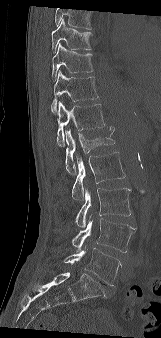 CT spine — sagittal view

In the table, x1 and y1 are a box's top-left corner and x2 and y2 its bottom-right corner, in pixels.
Vertebrae that run past the top of the scan are left unlabeled.
| vertebra | x1 | y1 | x2 | y2 |
|---|---|---|---|---|
| T9 | 51 | 18 | 91 | 51 |
| T10 | 52 | 43 | 93 | 81 |
| T11 | 51 | 70 | 98 | 114 |
| T12 | 56 | 101 | 105 | 146 |
| L1 | 65 | 127 | 115 | 173 |
| L2 | 72 | 152 | 125 | 200 |
| L3 | 75 | 187 | 131 | 228 |
| L4 | 72 | 215 | 136 | 252 |
| L5 | 63 | 248 | 121 | 285 |